CT, spine; sagittal view; Bone window (WL 400, WW 1800)
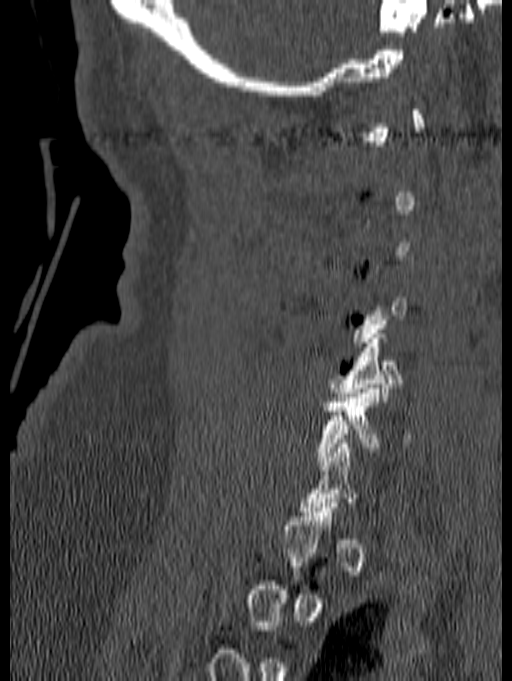

Coordinates as <box>x1,y1,x2,y2</box>. A vertebra is boxed only from the first to the last slice where its cross-section is at least a third of its largest; slices outside that range leave it without a box. 2 vertebrae labeled — C5 at <box>328,329,403,401</box>; C6 at <box>315,384,415,465</box>.